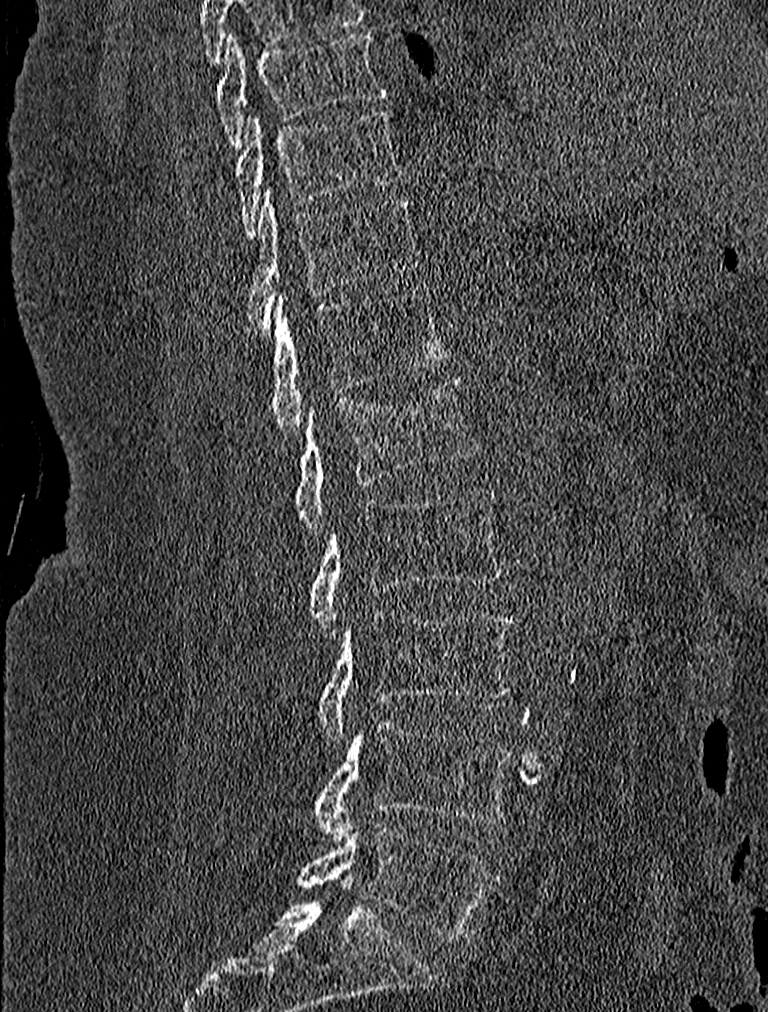

CT, spine; image width 227 mm; sagittal view; 768x1012 px
Columns x1, y1, x2, y2 give each box's top-left and bottom-right pixels.
| vertebra | x1 | y1 | x2 | y2 |
|---|---|---|---|---|
| L5 | 297 | 821 | 495 | 941 |
| L4 | 313 | 719 | 513 | 839 |
| L3 | 317 | 611 | 515 | 742 |
| L2 | 310 | 487 | 505 | 637 |
| L1 | 297 | 376 | 478 | 532 |
| T12 | 252 | 288 | 451 | 441 |
| T11 | 246 | 187 | 417 | 334 |
| T10 | 236 | 108 | 400 | 237 |
| T9 | 215 | 30 | 384 | 148 |